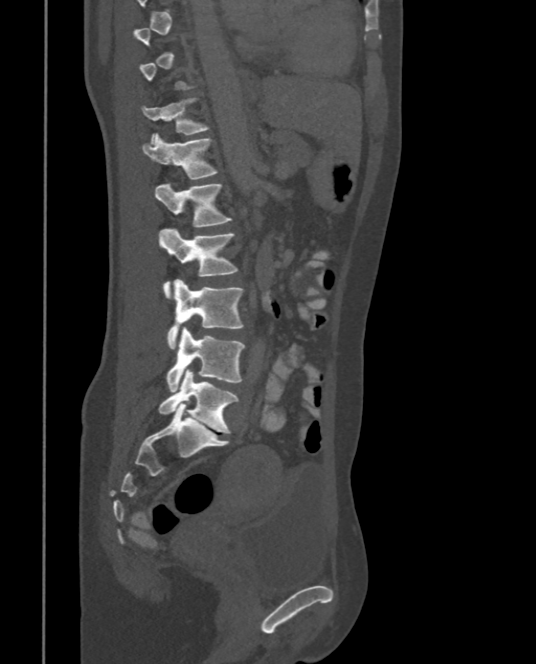 CT, spine. sagittal view. bone-window reconstruction. the image spans 375 mm across. 536x664 px
Boxes are given in columns x1, y1, x2, y2, the pixel coordinates of their top-left and bottom-right corners.
Each vertebra is boxed only on the slices from the first to the last where its cross-section reaches a third of its largest, so a slice outside that range leaves it unboxed.
| vertebra | x1 | y1 | x2 | y2 |
|---|---|---|---|---|
| L5 | 158 | 370 | 239 | 433 |
| L4 | 165 | 327 | 245 | 392 |
| L3 | 167 | 278 | 243 | 349 |
| L2 | 158 | 228 | 238 | 299 |
| L1 | 156 | 183 | 231 | 227 |
| T12 | 142 | 133 | 219 | 179 |
| T11 | 141 | 97 | 210 | 143 |